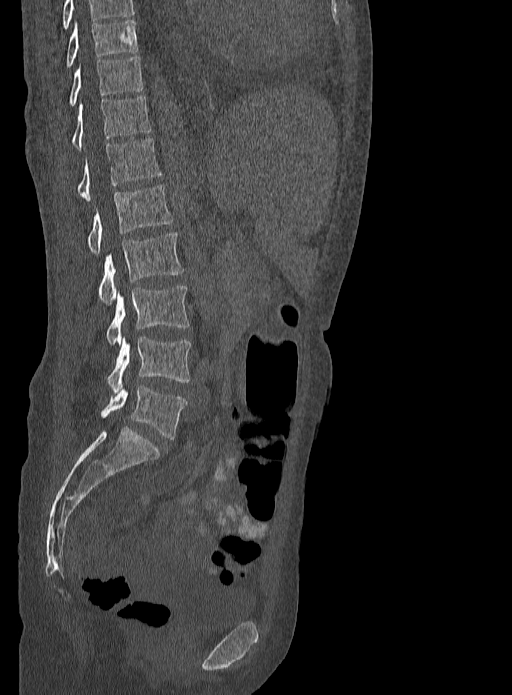

Computed tomography of the spine · 333 mm wide · sagittal view · bone-window reconstruction
Each box given as x1,y1,x2,y2.
Labels in this scan begin with T9 at the top and end with L5 at the bottom.
| vertebra | x1 | y1 | x2 | y2 |
|---|---|---|---|---|
| T9 | 66 | 20 | 139 | 67 |
| T10 | 69 | 57 | 143 | 105 |
| T11 | 70 | 95 | 151 | 148 |
| T12 | 77 | 138 | 162 | 200 |
| L1 | 87 | 185 | 172 | 253 |
| L2 | 98 | 232 | 183 | 303 |
| L3 | 106 | 286 | 189 | 346 |
| L4 | 107 | 337 | 191 | 393 |
| L5 | 101 | 386 | 186 | 439 |